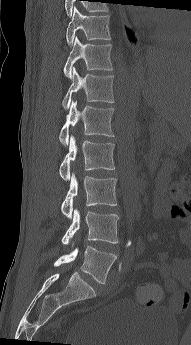
CT — 191 mm wide — sagittal view. Each box given as x1,y1,x2,y2. Vertebrae labeled: L5 at x1=54, y1=246, x2=117, y2=284, L4 at x1=61, y1=208, x2=119, y2=244, L3 at x1=60, y1=172, x2=117, y2=219, L2 at x1=59, y1=135, x2=115, y2=180, L1 at x1=58, y1=100, x2=114, y2=146, T12 at x1=61, y1=67, x2=114, y2=110, T11 at x1=63, y1=36, x2=113, y2=80, T10 at x1=66, y1=6, x2=111, y2=46.